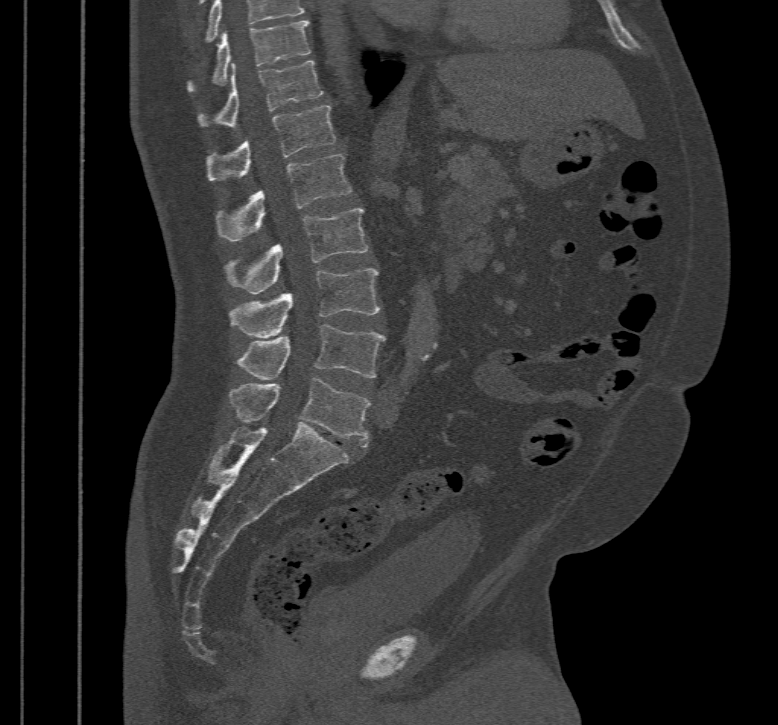

CT; sagittal reformat; Bone window (WL 400, WW 1800); 778x725 px
Boxes are (x1, y1, x2, y2) in pixels.
The highest labeled vertebra in this scan is T10; the lowest is L5.
L5: (230, 377, 370, 448)
L4: (237, 324, 385, 379)
L3: (230, 268, 381, 337)
L2: (225, 209, 367, 294)
L1: (216, 154, 352, 241)
T12: (207, 105, 335, 181)
T11: (198, 60, 323, 128)
T10: (187, 20, 311, 91)